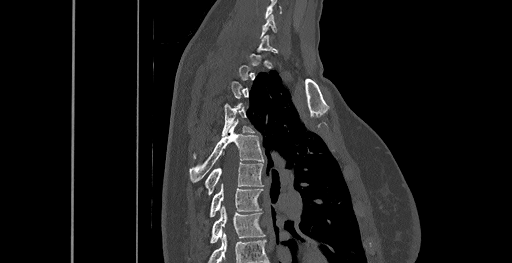
CT — sagittal view — 512x263 px
A vertebra is boxed only from the first to the last slice where its cross-section is at least a third of its largest; slices outside that range leave it without a box.
Labels in this scan begin with C6 at the top and end with T8 at the bottom.
<vertebrae><v name="T4" x1="193" y1="103" x2="253" y2="158"/><v name="T5" x1="190" y1="124" x2="263" y2="182"/><v name="T6" x1="204" y1="162" x2="262" y2="195"/><v name="T7" x1="210" y1="184" x2="262" y2="218"/><v name="T8" x1="210" y1="206" x2="265" y2="243"/></vertebrae>